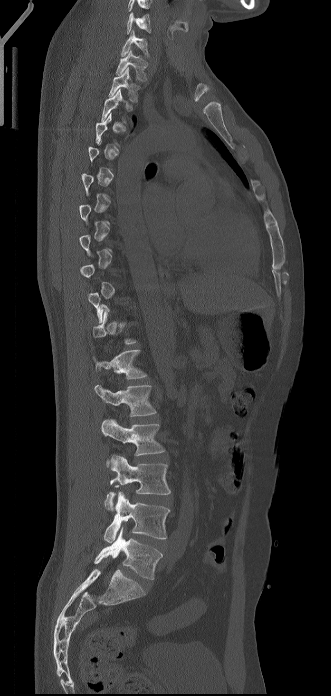
Spine CT. sagittal reformat. Bone window (WL 400, WW 1800). 331 mm image width. 331x696 px
A vertebra is boxed only from the first to the last slice where its cross-section is at least a third of its largest; slices outside that range leave it without a box.
The highest labeled vertebra in this scan is C6; the lowest is L5.
<vertebrae><v name="C6" x1="126" y1="12" x2="151" y2="34"/><v name="C7" x1="121" y1="30" x2="149" y2="56"/><v name="T1" x1="116" y1="50" x2="147" y2="80"/><v name="T2" x1="108" y1="67" x2="138" y2="101"/><v name="T3" x1="101" y1="89" x2="132" y2="123"/><v name="T12" x1="92" y1="350" x2="146" y2="378"/><v name="L1" x1="94" y1="384" x2="156" y2="416"/><v name="L2" x1="101" y1="419" x2="165" y2="468"/><v name="L3" x1="104" y1="455" x2="170" y2="510"/><v name="L4" x1="104" y1="490" x2="170" y2="542"/><v name="L5" x1="94" y1="527" x2="162" y2="579"/></vertebrae>